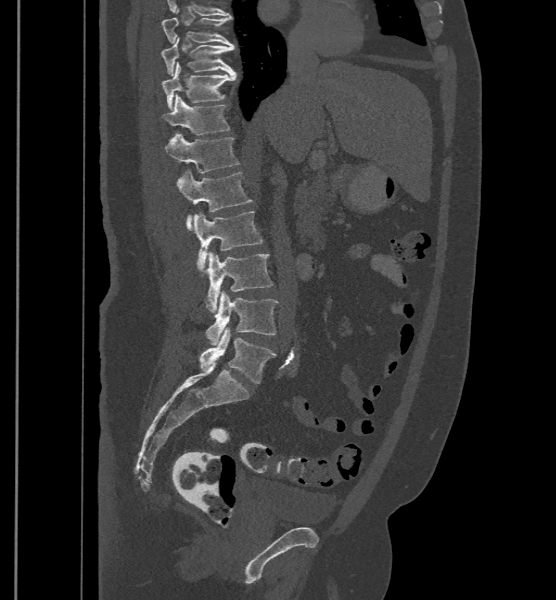 CT, spine — sagittal view — Bone window (WL 400, WW 1800) — 556x600 px
The labels name a sixth lumbar vertebra for this spine: L6, after L5.
<vertebrae><v name="T9" x1="162" y1="8" x2="233" y2="47"/><v name="T10" x1="161" y1="37" x2="234" y2="75"/><v name="T11" x1="162" y1="62" x2="237" y2="109"/><v name="T12" x1="163" y1="94" x2="230" y2="141"/><v name="L1" x1="166" y1="133" x2="239" y2="172"/><v name="L2" x1="177" y1="170" x2="252" y2="230"/><v name="L3" x1="194" y1="211" x2="264" y2="271"/><v name="L4" x1="205" y1="251" x2="272" y2="312"/><v name="L5" x1="205" y1="291" x2="278" y2="345"/><v name="L6" x1="199" y1="328" x2="276" y2="383"/></vertebrae>